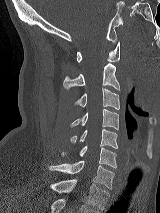 CT, spine · sagittal view · bone window · 160x213 px
Boxes: x1:y1:x2:y2 in pixels. 8 vertebrae labeled — T1 at 50:178:109:209; C7 at 49:160:114:188; C6 at 62:146:116:168; C5 at 71:128:117:148; C4 at 70:108:118:129; C3 at 74:88:119:109; C2 at 63:63:119:90; C1 at 76:41:119:62.